Spine CT · sagittal view
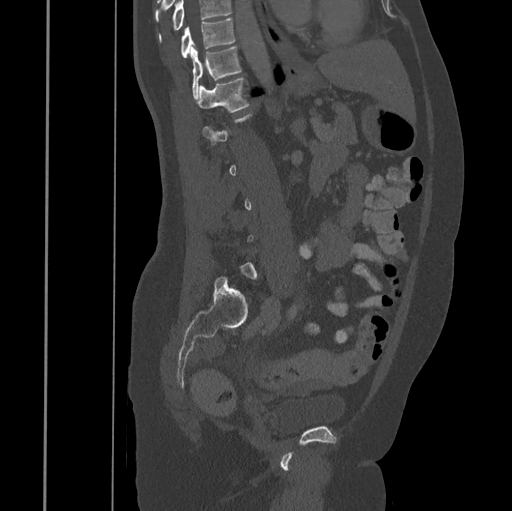
Each box is [x1, y1, x2, y2] in pixels: top-left corner, then bottom-right corner.
A vertebra gets a box only on the slices from the first to the last where its cross-section is at least a third of its largest; on a slice outside that range it gets none.
No box is given to a vertebra that the top edge of the scan cuts off.
{"vertebrae":{"T10":[179,19,235,57],"T11":[191,46,242,98],"T12":[198,77,250,112]}}